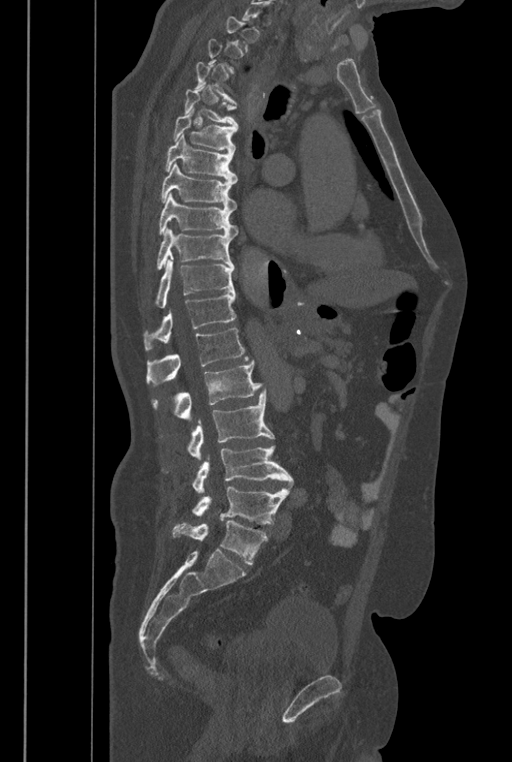 Spine computed tomography; sagittal view; W/L 1800/400 HU; 512x762 px
In the table, x1 and y1 are a box's top-left corner and x2 and y2 its bottom-right corner, in pixels.
A vertebra is boxed only from the first to the last slice where its cross-section is at least a third of its largest; slices outside that range leave it without a box.
The labels name a sixth lumbar vertebra for this spine: L6, after L5.
| vertebra | x1 | y1 | x2 | y2 |
|---|---|---|---|---|
| T4 | 193 | 62 | 237 | 104 |
| T5 | 184 | 86 | 238 | 129 |
| T6 | 173 | 107 | 237 | 152 |
| T7 | 165 | 134 | 237 | 181 |
| T8 | 161 | 163 | 237 | 210 |
| T9 | 158 | 193 | 237 | 236 |
| T10 | 157 | 227 | 233 | 269 |
| T11 | 156 | 259 | 235 | 308 |
| T12 | 143 | 291 | 236 | 350 |
| L1 | 146 | 328 | 248 | 385 |
| L2 | 150 | 360 | 262 | 418 |
| L3 | 161 | 390 | 274 | 458 |
| L4 | 163 | 445 | 293 | 493 |
| L5 | 192 | 487 | 290 | 524 |
| L6 | 172 | 508 | 268 | 564 |